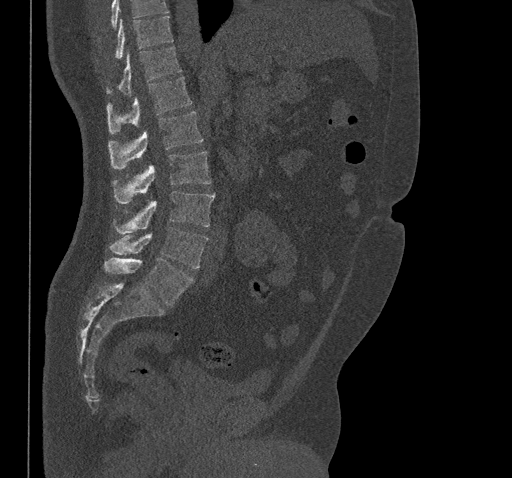 Computed tomography of the spine. sagittal view. 461 mm across the image. bone window. 512x478 px. Bounding boxes as [x1, y1, x2, y2] in pixel coordinates.
A vertebra cut off by the top edge of the scan is not labeled and has no box.
Vertebra bounding boxes:
- T10: [114, 16, 173, 58]
- T11: [106, 46, 181, 95]
- T12: [106, 77, 192, 134]
- L1: [108, 111, 203, 168]
- L2: [112, 151, 210, 204]
- L3: [113, 191, 215, 234]
- L4: [110, 227, 208, 268]
- L5: [105, 258, 193, 306]